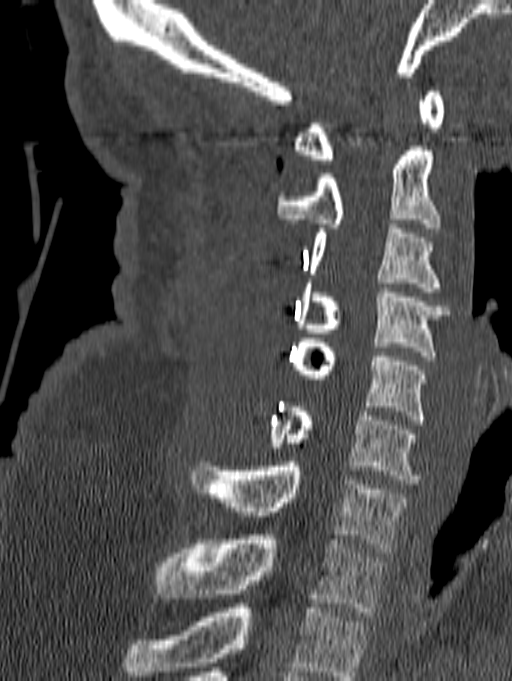

CT spine. sagittal view. bone-window reconstruction. the image is 140 mm wide
Boxes: x1:y1:x2:y2 in pixels.
Labels in this scan begin with C1 at the top and end with T1 at the bottom.
C1: 293:91:444:164
C2: 276:146:440:232
C3: 309:224:443:292
C4: 297:283:450:360
C5: 290:338:426:424
C6: 268:402:419:484
C7: 192:462:406:552
T1: 155:535:385:616